CT spine. sagittal reformat. scan covers 25 annotated vertebrae. the image is 473 mm wide. some of the image was removed or blocked out with constant pixels
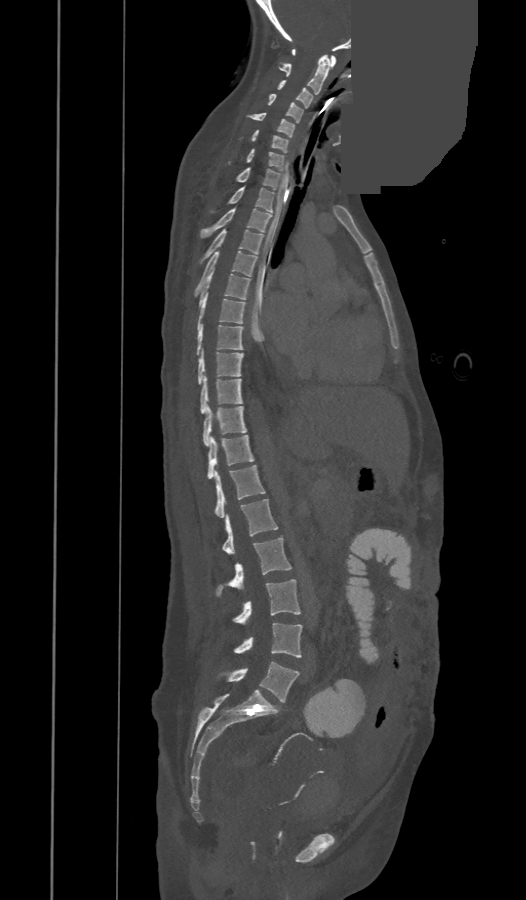 Boxes: x1 y1 x2 y2 (pixel coords, space-separated).
In these labels the spine has a T13, a thirteenth thoracic vertebra, between T12 and L1.
Vertebra bounding boxes:
- C1: 292 49 336 67
- C2: 280 55 330 94
- C3: 278 80 312 108
- C4: 268 93 302 122
- C5: 248 112 295 137
- C6: 251 130 287 152
- C7: 229 149 284 170
- T1: 235 168 281 189
- T2: 210 187 274 212
- T3: 200 208 271 238
- T4: 200 229 262 262
- T5: 194 251 257 297
- T6: 199 267 250 305
- T7: 197 293 244 329
- T8: 196 323 242 355
- T9: 198 350 243 384
- T10: 200 377 242 414
- T11: 203 406 246 446
- T12: 207 435 254 479
- T13: 215 465 265 517
- L1: 222 499 278 554
- L2: 216 537 292 596
- L3: 232 579 300 622
- L4: 233 623 302 657
- L5: 220 662 299 702